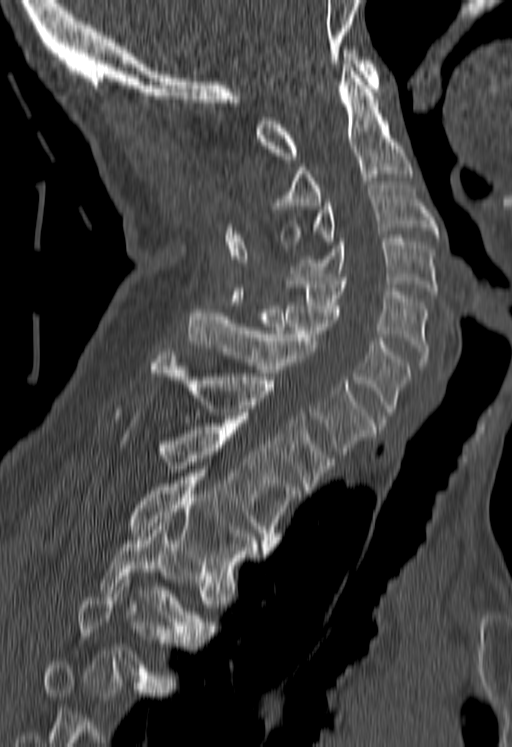
CT, spine · 180 mm wide · sagittal view

Boxes are given in columns x1, y1, x2, y2, the pixel coordinates of their top-left and bottom-right corners.
Not every vertebra on this slice has a box: a vertebra is boxed only from the first to the last slice where its cross-section is at least a third of its largest, and this slice is outside that range for at least one of them.
| vertebra | x1 | y1 | x2 | y2 |
|---|---|---|---|---|
| C1 | 255 | 50 | 378 | 159 |
| C2 | 274 | 68 | 412 | 209 |
| C3 | 280 | 185 | 438 | 248 |
| C4 | 290 | 238 | 438 | 298 |
| C5 | 287 | 277 | 429 | 369 |
| C6 | 260 | 306 | 410 | 419 |
| C7 | 188 | 309 | 375 | 454 |
| T1 | 148 | 348 | 333 | 490 |
| T2 | 157 | 427 | 301 | 547 |
| T3 | 129 | 473 | 267 | 582 |
| T4 | 98 | 523 | 213 | 639 |